CT spine · Sagittal slice 239/512 · 512x820 px
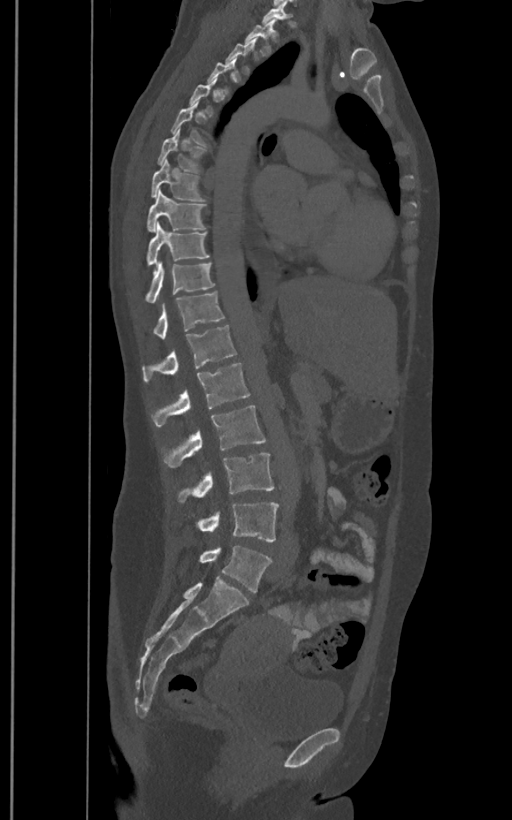
Each vertebra maps to its box as [x1, y1, x2, y2], the pixel coordinates of its top-left and bottom-right corners.
Each vertebra is boxed only on the slices from the first to the last where its cross-section reaches a third of its largest, so a slice outside that range leaves it unboxed.
These labels give the spine a sixth lumbar vertebra, L6, below L5.
{"vertebrae":{"L6":[198,545,271,592],"L5":[184,503,279,542],"L4":[176,453,274,504],"L3":[161,406,266,468],"L2":[151,362,250,426],"L1":[142,325,237,381],"T12":[152,291,224,338],"T11":[144,263,215,302],"T10":[146,222,210,266],"T9":[146,189,206,232],"T8":[150,159,206,201],"T7":[156,129,206,173],"T2":[244,18,278,55]}}